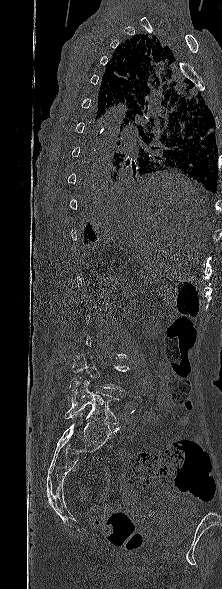

Computed tomography of the spine; the image is 222 mm wide; sagittal view. Each row gives a vertebra's box as x1, y1, x2, y2 in pixels: top-left corner, then bottom-right corner.
Each vertebra is boxed only on the slices from the first to the last where its cross-section reaches a third of its largest, so a slice outside that range leaves it unboxed.
| vertebra | x1 | y1 | x2 | y2 |
|---|---|---|---|---|
| L5 | 64 | 378 | 120 | 432 |
| L4 | 70 | 355 | 129 | 405 |